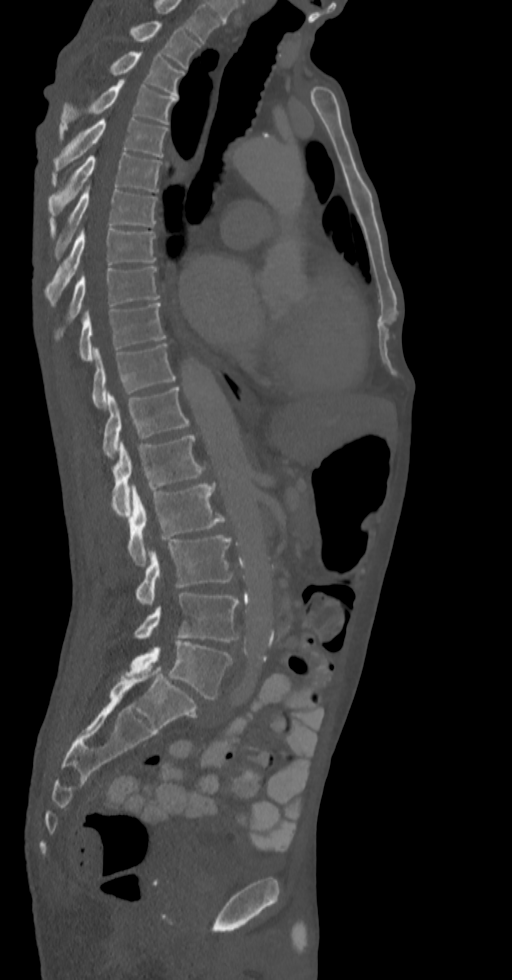
CT spine; sagittal reformat; Bone window (WL 400, WW 1800); 512x980 px; image width 336 mm
This scan's labels start at T2 at the top and end at L5 at the bottom.
<vertebrae><v name="L5" x1="125" y1="640" x2="233" y2="698"/><v name="L4" x1="134" y1="593" x2="239" y2="642"/><v name="L3" x1="135" y1="535" x2="232" y2="605"/><v name="L2" x1="128" y1="483" x2="227" y2="566"/><v name="L1" x1="111" y1="434" x2="207" y2="517"/><v name="T12" x1="103" y1="387" x2="189" y2="458"/><v name="T11" x1="91" y1="343" x2="175" y2="409"/><v name="T10" x1="79" y1="302" x2="165" y2="362"/><v name="T9" x1="55" y1="267" x2="159" y2="339"/><v name="T8" x1="45" y1="229" x2="156" y2="304"/><v name="T7" x1="50" y1="184" x2="157" y2="258"/><v name="T6" x1="48" y1="152" x2="162" y2="217"/><v name="T5" x1="53" y1="117" x2="168" y2="173"/><v name="T4" x1="59" y1="79" x2="177" y2="139"/><v name="T3" x1="109" y1="52" x2="183" y2="97"/><v name="T2" x1="129" y1="21" x2="200" y2="69"/></vertebrae>